CT. sagittal plane, index 247. 512x842 px
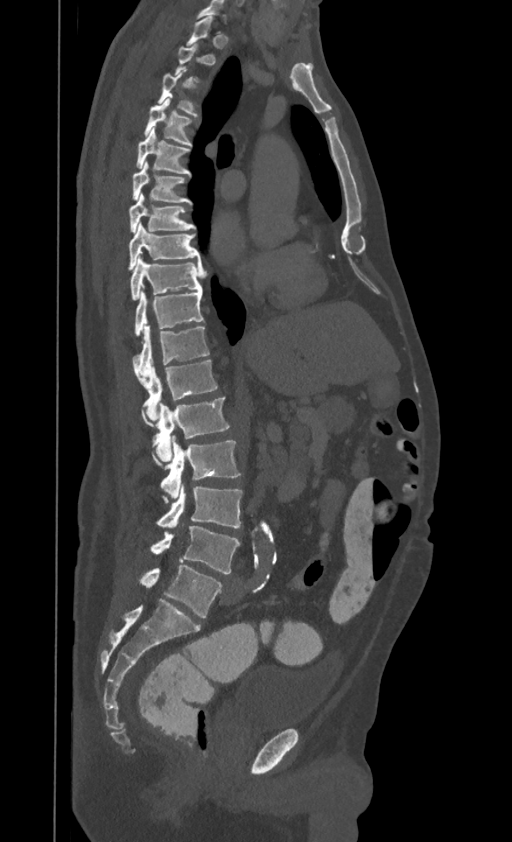

Boxes are given in columns x1, y1, x2, y2, the pixel coordinates of their top-left and bottom-right corners.
A vertebra is boxed only from the first to the last slice where its cross-section is at least a third of its largest; slices outside that range leave it without a box.
The highest labeled vertebra in this scan is T1; the lowest is L4.
| vertebra | x1 | y1 | x2 | y2 |
|---|---|---|---|---|
| T3 | 158 | 70 | 197 | 116 |
| T4 | 144 | 97 | 192 | 145 |
| T5 | 136 | 127 | 191 | 174 |
| T6 | 132 | 161 | 192 | 203 |
| T7 | 129 | 192 | 195 | 232 |
| T8 | 128 | 223 | 200 | 270 |
| T9 | 131 | 257 | 205 | 300 |
| T10 | 135 | 290 | 204 | 336 |
| T11 | 133 | 325 | 209 | 385 |
| T12 | 144 | 360 | 217 | 425 |
| L1 | 153 | 398 | 230 | 464 |
| L2 | 159 | 441 | 240 | 498 |
| L3 | 155 | 486 | 243 | 527 |
| L4 | 150 | 526 | 240 | 574 |